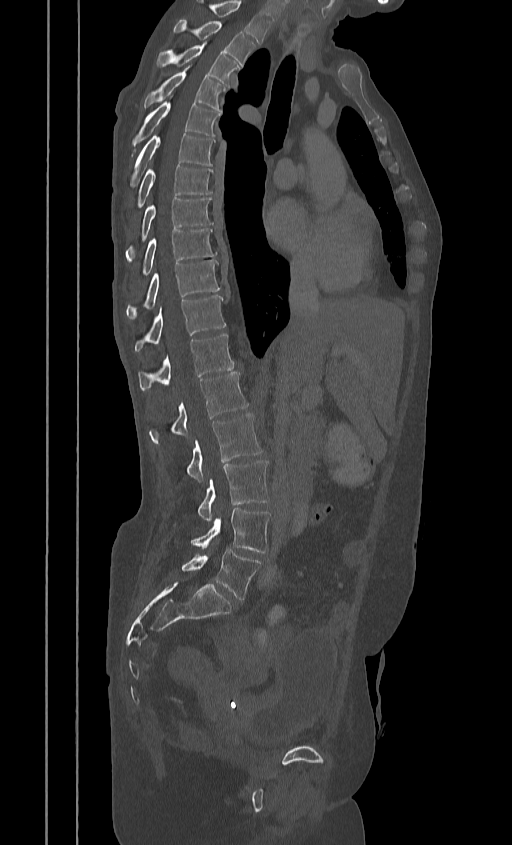
CT, spine. sagittal view

Box edges are left/top/right/bottom in pixels.
This scan's labels start at T2 at the top and end at L5 at the bottom.
| vertebra | x1 | y1 | x2 | y2 |
|---|---|---|---|---|
| T2 | 173 | 20 | 255 | 66 |
| T3 | 156 | 43 | 238 | 86 |
| T4 | 144 | 67 | 227 | 111 |
| T5 | 132 | 101 | 220 | 147 |
| T6 | 130 | 133 | 215 | 186 |
| T7 | 134 | 165 | 212 | 210 |
| T8 | 125 | 197 | 213 | 260 |
| T9 | 140 | 229 | 216 | 278 |
| T10 | 125 | 260 | 220 | 319 |
| T11 | 134 | 295 | 225 | 351 |
| T12 | 138 | 335 | 233 | 390 |
| L1 | 150 | 372 | 248 | 443 |
| L2 | 186 | 413 | 261 | 482 |
| L3 | 197 | 461 | 269 | 520 |
| L4 | 190 | 508 | 271 | 552 |
| L5 | 181 | 549 | 260 | 600 |